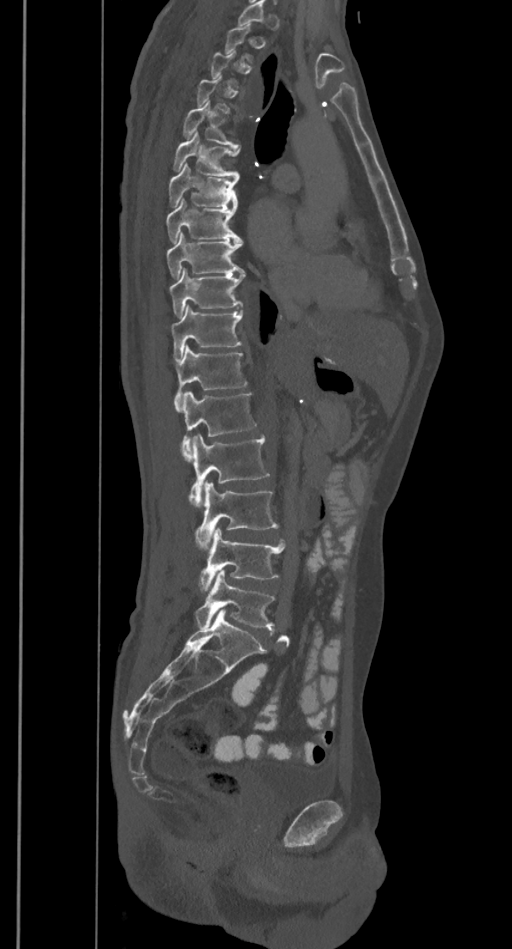 CT spine — sagittal view
Boxes: x1:y1:x2:y2 in pixels. Each vertebra is boxed only on the slices from the first to the last where its cross-section reaches a third of its largest, so a slice outside that range leaves it unboxed. Vertebrae labeled: L5 at 195:570:274:629, L4 at 198:529:285:591, L3 at 196:482:278:547, L2 at 189:434:269:506, L1 at 181:390:257:460, T12 at 174:346:246:411, T11 at 170:304:242:360, T10 at 169:268:245:317, T9 at 166:232:244:278, T8 at 166:199:240:242, T7 at 169:162:238:206, T6 at 173:133:240:177, T5 at 183:101:237:146.